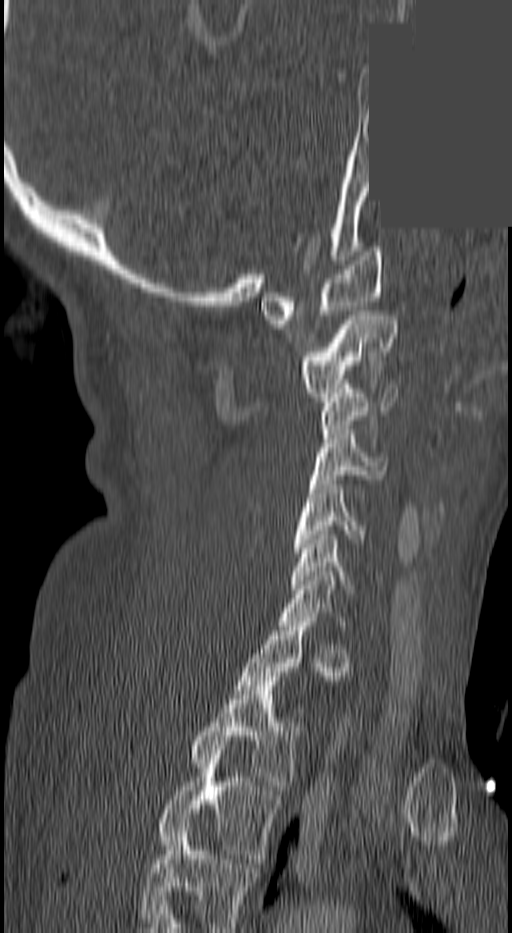
CT, spine. sagittal view. the image is 140 mm wide. 512x933 px. a portion of the image is blanked out (constant pixel value). Bounding boxes as [x1, y1, x2, y2] in pixel coordinates. Each vertebra is boxed only on the slices from the first to the last where its cross-section reaches a third of its largest, so a slice outside that range leaves it unboxed. Labels in this scan begin with C1 at the top and end with T3 at the bottom. The labeled vertebrae in this slice are: C1 at [261, 247, 384, 324], C2 at [299, 311, 395, 401], C3 at [323, 389, 397, 438], C4 at [309, 434, 386, 484], C5 at [292, 485, 366, 552], C6 at [290, 535, 355, 593], C7 at [279, 576, 348, 630], T2 at [188, 677, 304, 794], T3 at [155, 759, 282, 863].